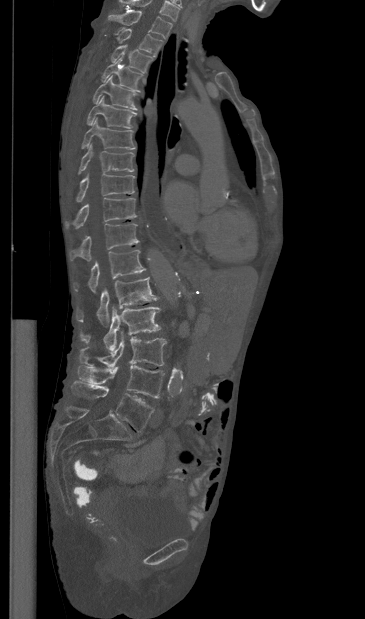
CT, spine. sagittal view. bone window

Each box is [x1, y1, x2, y2] in pixels: top-left corner, then bottom-right corner.
The highest labeled vertebra in this scan is T1; the lowest is L5.
{"vertebrae":{"T1":[108,10,172,38],"T2":[117,28,162,56],"T3":[111,44,152,72],"T4":[101,57,142,91],"T5":[93,75,137,109],"T6":[87,95,136,128],"T7":[81,118,135,149],"T8":[78,144,134,174],"T9":[76,173,134,201],"T10":[65,197,136,228],"T11":[69,222,139,260],"T12":[73,249,146,292],"L1":[76,277,157,326],"L2":[80,307,160,351],"L3":[79,331,166,366],"L4":[78,365,164,398],"L5":[70,380,153,431]}}